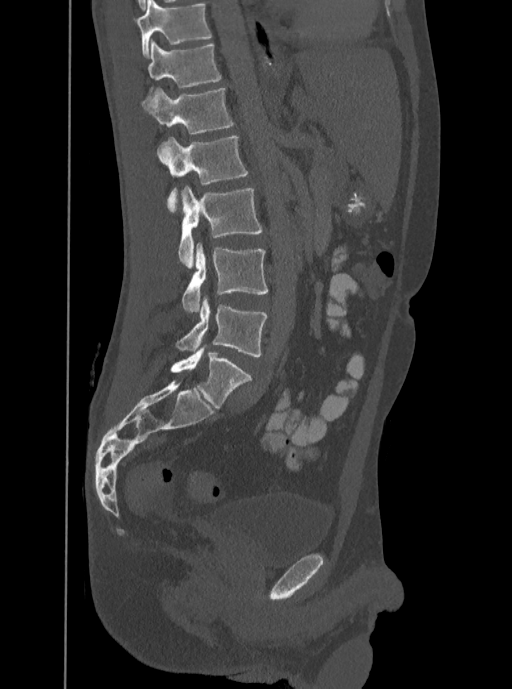 Computed tomography of the spine · the image spans 350 mm across · sagittal view · Bone window (WL 400, WW 1800) · 512x689 px
This scan's labels start at T12 at the top and end at L5 at the bottom.
<vertebrae><v name="T12" x1="148" y1="39" x2="221" y2="95"/><v name="L1" x1="142" y1="87" x2="234" y2="133"/><v name="L2" x1="156" y1="136" x2="247" y2="212"/><v name="L3" x1="177" y1="186" x2="262" y2="268"/><v name="L4" x1="181" y1="242" x2="268" y2="311"/><v name="L5" x1="175" y1="296" x2="266" y2="357"/></vertebrae>